CT, spine · sagittal view · bone window · 512x843 px · 17 vertebrae labeled in this scan
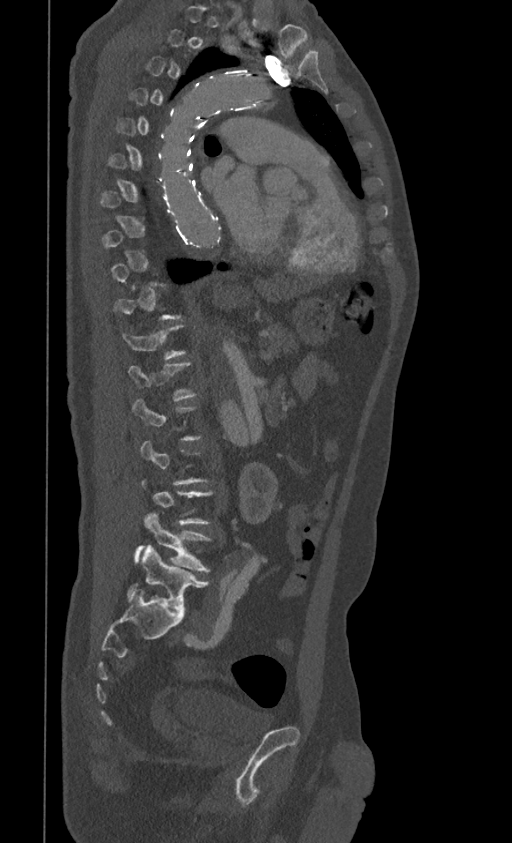

Boxes are (x1, y1, x2, y2) in pixels. A vertebra gets a box only on the slices from the first to the last where its cross-section is at least a third of its largest; on a slice outside that range it gets none. Vertebrae labeled: L5 at (126, 545, 208, 615), L4 at (135, 512, 211, 572), T12 at (128, 361, 198, 401), T11 at (122, 325, 186, 359).